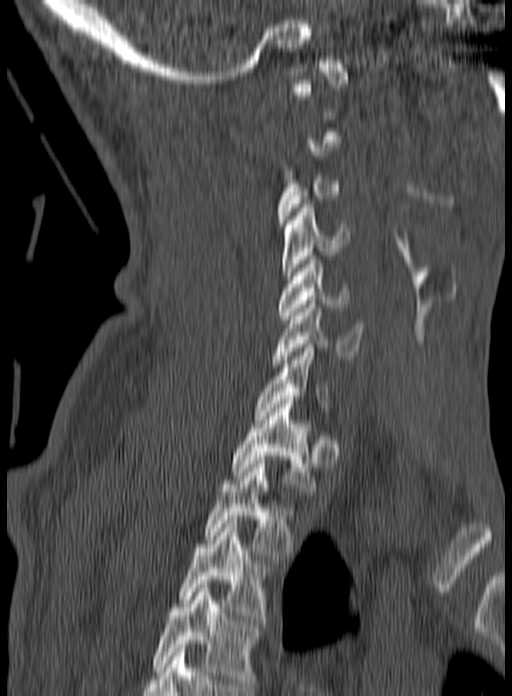

CT, spine · image 160 mm wide · sagittal view · 512x696 px

A vertebra is boxed only from the first to the last slice where its cross-section is at least a third of its largest; slices outside that range leave it without a box.
Labels in this scan begin with C1 at the top and end with T3 at the bottom.
<vertebrae><v name="C3" x1="276" y1="168" x2="343" y2="227"/><v name="C4" x1="280" y1="204" x2="349" y2="279"/><v name="C5" x1="278" y1="256" x2="349" y2="319"/><v name="C6" x1="272" y1="300" x2="364" y2="363"/><v name="C7" x1="254" y1="344" x2="330" y2="419"/><v name="T1" x1="232" y1="400" x2="315" y2="495"/><v name="T2" x1="203" y1="460" x2="298" y2="559"/><v name="T3" x1="177" y1="516" x2="269" y2="623"/></vertebrae>